CT spine. sagittal reformat. Bone window (WL 400, WW 1800)
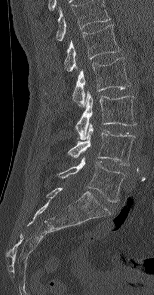 Bounding boxes as [x1, y1, x2, y2] in pixel coordinates. Labels in this scan begin with L1 at the top and end with L5 at the bottom. 5 vertebrae labeled — L1 at [64, 24, 120, 71]; L2 at [72, 57, 129, 107]; L3 at [75, 91, 136, 139]; L4 at [68, 122, 134, 165]; L5 at [58, 157, 125, 202].